Spine CT; image 180 mm wide; sagittal plane, index 279; W/L 1800/400 HU; 14 vertebrae labeled in this scan
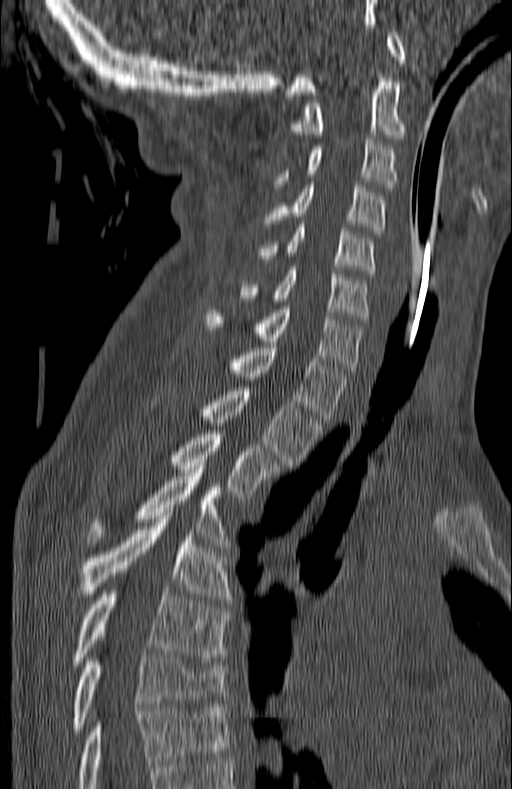
Coordinates as <box>x1,y1,x2,y2</box>.
Labels in this scan begin with C1 at the top and end with T7 at the bottom.
Vertebra bounding boxes:
- C1: <box>285,32,404,95</box>
- C2: <box>288,71,407,141</box>
- C3: <box>273,139,395,191</box>
- C4: <box>265,185,387,234</box>
- C5: <box>258,224,375,276</box>
- C6: <box>243,267,370,323</box>
- C7: <box>206,306,364,372</box>
- T1: <box>226,345,348,422</box>
- T2: <box>152,384,321,468</box>
- T3: <box>166,430,282,497</box>
- T4: <box>89,473,230,547</box>
- T5: <box>86,516,230,600</box>
- T6: <box>75,590,227,664</box>
- T7: <box>75,654,225,731</box>